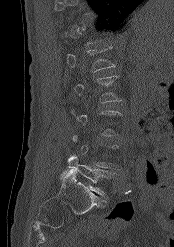 CT. sagittal view. Bone window (WL 400, WW 1800). 174x247 px. 174 mm image width
Not every vertebra on this slice has a box: a vertebra is boxed only from the first to the last slice where its cross-section is at least a third of its largest, and this slice is outside that range for at least one of them.
<vertebrae><v name="L5" x1="67" y1="155" x2="111" y2="200"/><v name="L1" x1="67" y1="46" x2="115" y2="71"/></vertebrae>